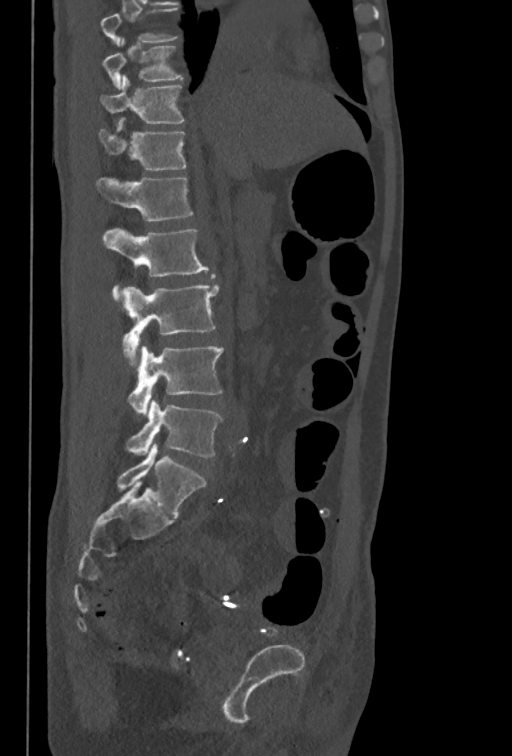

CT; sagittal view; image width 350 mm
Each vertebra maps to its box as [x1, y1, x2, y2], the pixel coordinates of its top-left and bottom-right corners.
Labels in this scan begin with T10 at the top and end with L5 at the bottom.
{"vertebrae":{"L5":[125,400,221,457],"L4":[128,346,223,414],"L3":[122,284,218,365],"L2":[102,228,208,300],"L1":[96,176,193,222],"T12":[99,117,186,170],"T11":[101,75,185,123],"T10":[102,38,182,90]}}